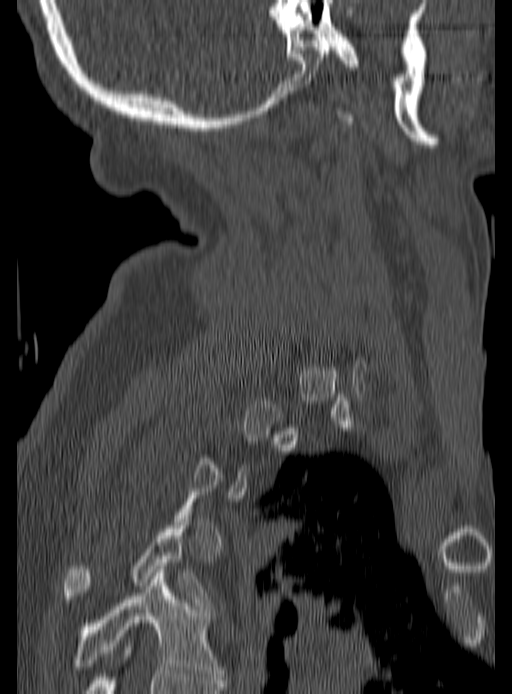 CT — sagittal view — Bone window (WL 400, WW 1800)

Each vertebra is boxed only on the slices from the first to the last where its cross-section reaches a third of its largest, so a slice outside that range leaves it unboxed.
<vertebrae><v name="T4" x1="63" y1="522" x2="207" y2="605"/><v name="T5" x1="71" y1="569" x2="221" y2="679"/></vertebrae>